CT. Sagittal slice 258/512. Bone window (WL 400, WW 1800). 512x691 px
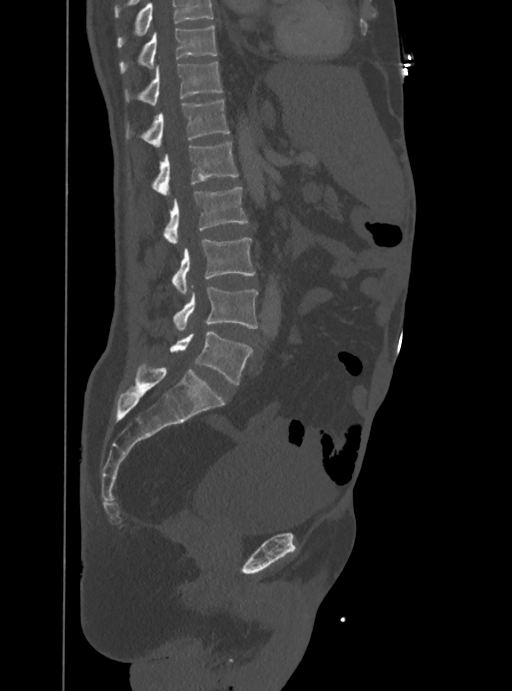 Each row gives a vertebra's box as x1, y1, x2, y2 in pixels: top-left corner, then bottom-right corner.
No box is given to a vertebra that the top edge of the scan cuts off.
| vertebra | x1 | y1 | x2 | y2 |
|---|---|---|---|---|
| T10 | 120 | 25 | 217 | 73 |
| T11 | 140 | 62 | 222 | 105 |
| T12 | 127 | 99 | 230 | 146 |
| L1 | 153 | 141 | 238 | 195 |
| L2 | 165 | 188 | 247 | 245 |
| L3 | 173 | 238 | 255 | 294 |
| L4 | 173 | 286 | 257 | 330 |
| L5 | 170 | 331 | 251 | 384 |